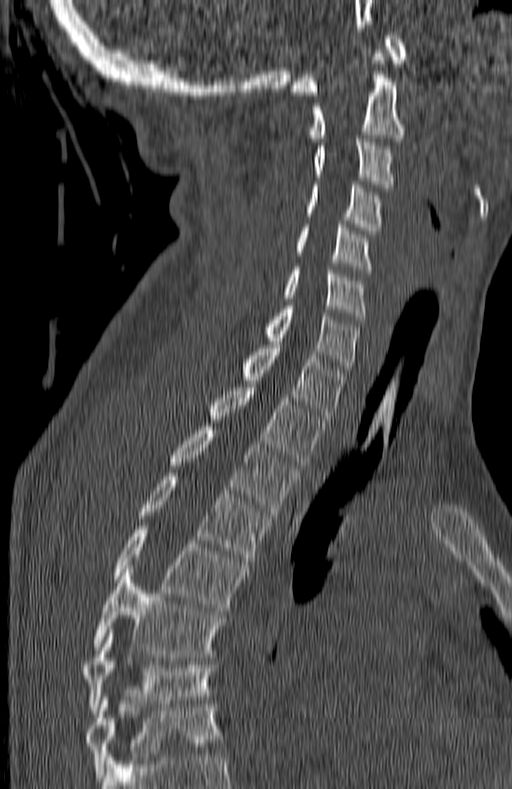 Computed tomography of the spine. sagittal view
Box values are [left, top, right, bottom] in pixels.
The highest labeled vertebra in this scan is C1; the lowest is T7.
{"vertebrae":{"C1":[291,32,406,95],"C2":[308,50,404,141],"C3":[314,139,395,191],"C4":[305,181,381,234],"C5":[294,224,373,273],"C6":[283,267,367,319],"C7":[263,302,361,376],"T1":[240,341,346,422],"T2":[209,384,324,465],"T3":[169,427,296,515],"T4":[137,473,270,564],"T5":[115,526,245,611],"T6":[93,569,225,657],"T7":[83,633,216,714]}}